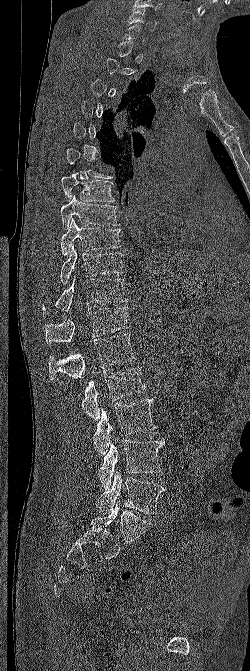

Computed tomography of the spine. sagittal view

Each box given as x1,y1,x2,y2.
A vertebra gets a box only on the slices from the first to the last where its cross-section is at least a third of its largest; on a slice outside that range it gets none.
Vertebra bounding boxes:
- C6: x1=127, y1=8, x2=158, y2=30
- T7: x1=61, y1=172, x2=115, y2=202
- T8: x1=60, y1=195, x2=119, y2=230
- T9: x1=60, y1=218, x2=124, y2=256
- T10: x1=60, y1=244, x2=123, y2=283
- T11: x1=42, y1=277, x2=127, y2=313
- T12: x1=45, y1=306, x2=129, y2=344
- L1: x1=48, y1=333, x2=135, y2=380
- L2: x1=81, y1=366, x2=145, y2=420
- L3: x1=93, y1=398, x2=157, y2=454
- L4: x1=98, y1=438, x2=164, y2=489
- L5: x1=96, y1=471, x2=165, y2=514